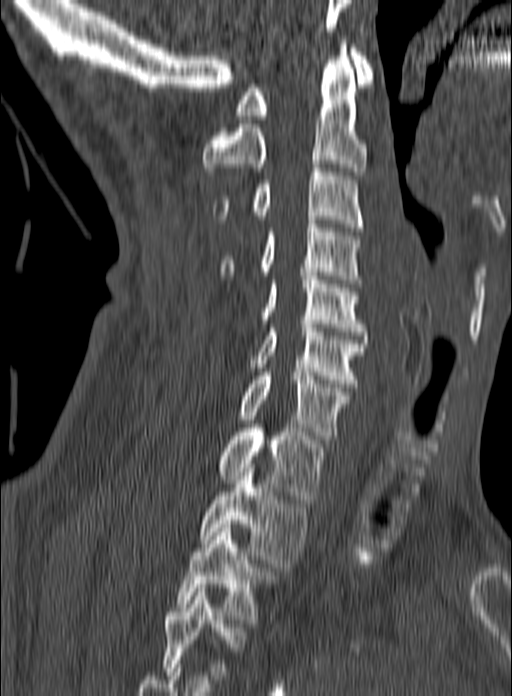

CT, spine — sagittal view — 512x696 px
Coordinates as <box>x1,y1,x2,y2</box>.
Labels in this scan begin with C1 at the top and end with T3 at the bottom.
T3: <box>176,524,272,623</box>
T2: <box>200,464,307,567</box>
T1: <box>216,424,327,503</box>
C7: <box>238,368,350,439</box>
C6: <box>249,320,368,387</box>
C5: <box>261,272,366,335</box>
C4: <box>219,220,362,287</box>
C3: <box>213,164,363,231</box>
C2: <box>202,44,367,175</box>
C1: <box>234,48,375,119</box>